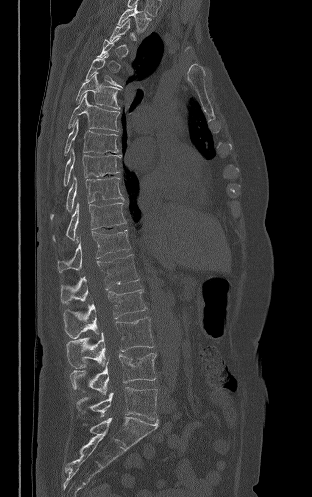 CT, spine; sagittal view; Bone window (WL 400, WW 1800); image 312 mm wide

Each box given as x1,y1,x2,y2. A vertebra gets a box only on the slices from the first to the last where its cross-section is at least a third of its largest; on a slice outside that range it gets none. 14 vertebrae labeled — T2 at x1=117, y1=4, x2=150, y2=32; T5 at x1=85, y1=53, x2=122, y2=88; T6 at x1=76, y1=72, x2=119, y2=109; T7 at x1=68, y1=93, x2=119, y2=131; T8 at x1=64, y1=119, x2=118, y2=155; T9 at x1=63, y1=147, x2=121, y2=186; T10 at x1=50, y1=175, x2=123, y2=220; T11 at x1=53, y1=199, x2=126, y2=240; T12 at x1=57, y1=230, x2=130, y2=272; L1 at x1=60, y1=254, x2=139, y2=303; L2 at x1=63, y1=289, x2=146, y2=338; L3 at x1=66, y1=317, x2=154, y2=368; L4 at x1=69, y1=353, x2=156, y2=395; L5 at x1=77, y1=387, x2=157, y2=420.